Computed tomography of the spine — Sagittal slice 269/512 — image 500 mm wide — bone window — 512x323 px
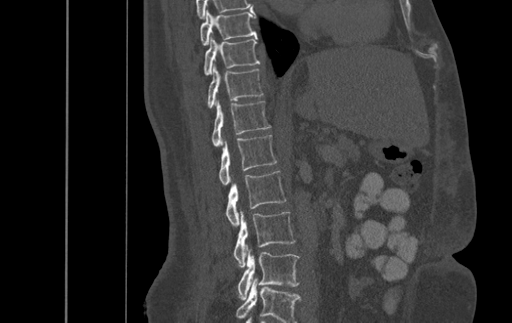

Box edges are left/top/right/bottom in pixels.
Labels in this scan begin with T9 at the top and end with L4 at the bottom.
T9: left=200, top=10, right=256, bottom=45
T10: left=204, top=37, right=259, bottom=75
T11: left=208, top=63, right=262, bottom=108
T12: left=212, top=98, right=270, bottom=146
L1: left=219, top=135, right=276, bottom=184
L2: left=226, top=171, right=286, bottom=226
L3: left=234, top=209, right=295, bottom=267
L4: left=238, top=245, right=299, bottom=299